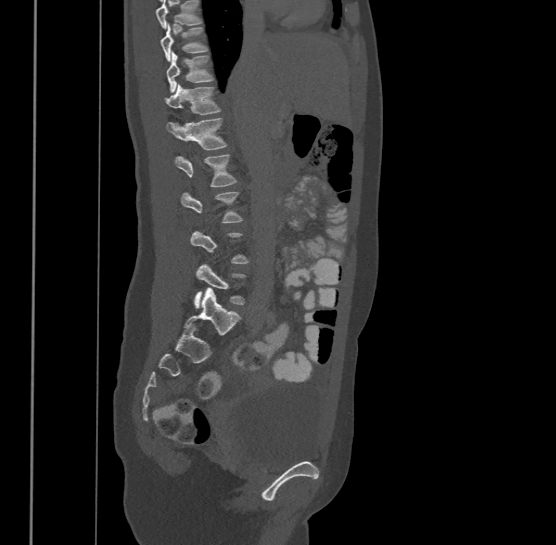 Spine CT; sagittal reformat; bone window; 556x545 px. Box edges are left/top/right/bottom in pixels.
Each vertebra is boxed only on the slices from the first to the last where its cross-section reaches a third of its largest, so a slice outside that range leaves it unboxed.
Where the top of the scan cuts through a vertebra, that vertebra gets no label or box.
T9: left=160, top=23, right=206, bottom=62
T10: left=166, top=51, right=213, bottom=91
T11: left=165, top=83, right=220, bottom=115
T12: left=166, top=117, right=227, bottom=149
L1: left=175, top=153, right=236, bottom=186